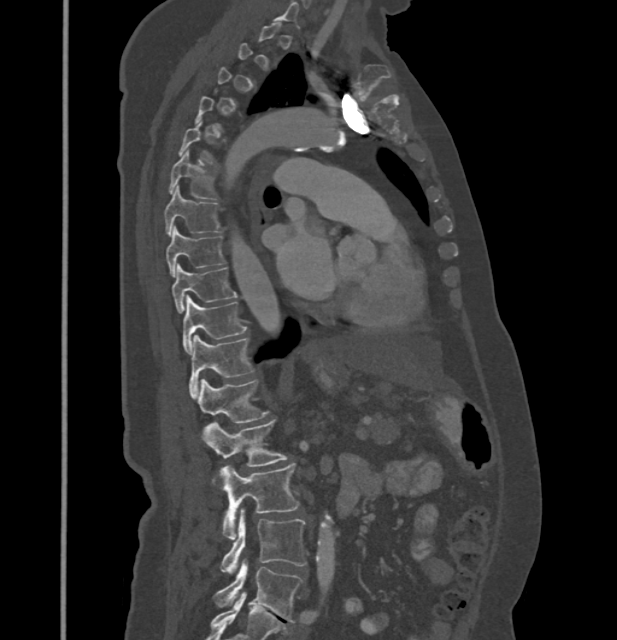
CT, spine; sagittal reformat; 432 mm image width; bone-window reconstruction

A vertebra is boxed only from the first to the last slice where its cross-section is at least a third of its largest; slices outside that range leave it without a box.
These labels give this spine no T12: after T11 the next vertebra is L1.
<vertebrae><v name="T6" x1="169" y1="150" x2="216" y2="199"/><v name="T7" x1="164" y1="186" x2="221" y2="235"/><v name="T8" x1="165" y1="226" x2="224" y2="276"/><v name="T9" x1="171" y1="266" x2="236" y2="312"/><v name="T10" x1="183" y1="296" x2="246" y2="354"/><v name="T11" x1="188" y1="335" x2="253" y2="396"/><v name="L1" x1="196" y1="379" x2="268" y2="422"/><v name="L2" x1="204" y1="420" x2="286" y2="466"/><v name="L3" x1="218" y1="463" x2="299" y2="539"/><v name="L4" x1="222" y1="509" x2="306" y2="574"/><v name="L5" x1="215" y1="560" x2="302" y2="622"/></vertebrae>